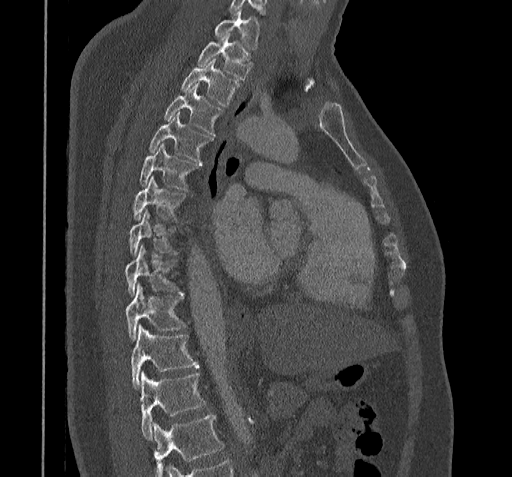

CT, spine — sagittal view
Boxes are (x1, y1, x2, y2) in pixels.
Vertebrae that run past the bottom of the scan are left unlabeled.
Vertebra bounding boxes:
- T11: (141, 372, 205, 438)
- T10: (132, 325, 199, 388)
- T9: (125, 285, 185, 341)
- T8: (125, 245, 183, 295)
- T7: (128, 209, 178, 257)
- T6: (133, 176, 186, 219)
- T5: (139, 145, 201, 189)
- T4: (149, 113, 212, 162)
- T3: (163, 84, 221, 135)
- T2: (181, 59, 240, 106)
- T1: (197, 34, 250, 79)
- C7: (214, 9, 259, 49)